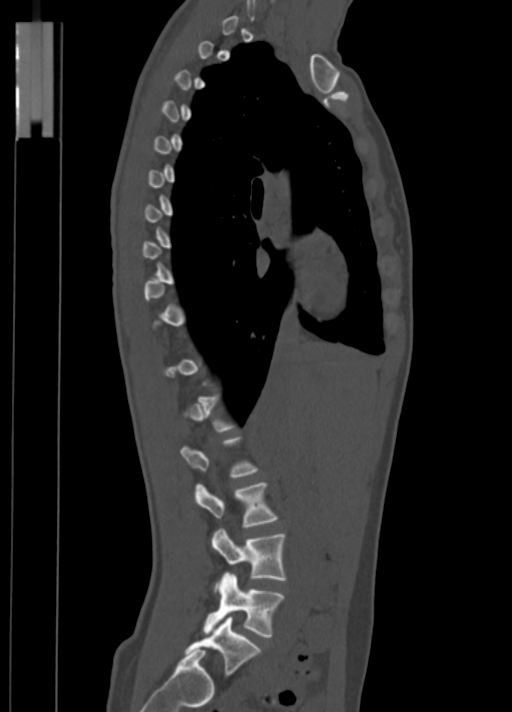
CT, spine; sagittal view; bone-window reconstruction
Each box is [x1, y1, x2, y2] in pixels: top-left corner, then bottom-right corner.
A vertebra is boxed only from the first to the last slice where its cross-section is at least a third of its largest; slices outside that range leave it without a box.
{"vertebrae":{"L2":[194,483,277,527],"L3":[212,528,285,590],"L4":[205,573,284,637],"L5":[186,616,261,675]}}